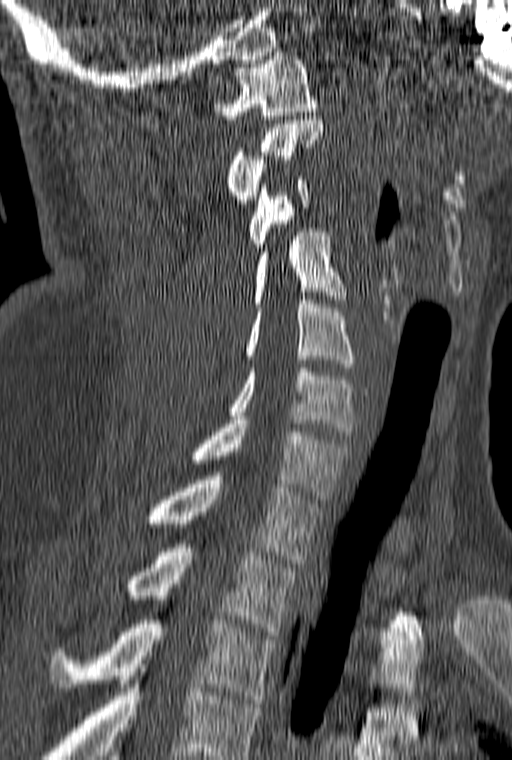
CT, spine — sagittal view

Boxes: x1:y1:x2:y2 in pixels.
This scan's labels start at C1 at the top and end at T3 at the bottom.
C1: 214:52:318:119
C2: 227:120:324:207
C3: 248:176:310:251
C4: 251:228:346:307
C5: 244:300:355:367
C6: 228:364:355:435
C7: 190:420:349:499
T1: 144:472:322:563
T2: 126:544:298:635
T3: 49:620:275:703